Computed tomography of the spine — sagittal reformat — Bone window (WL 400, WW 1800) — scan covers 21 annotated vertebrae — image 252 mm wide — an area of the scan was removed and filled with constant pixels
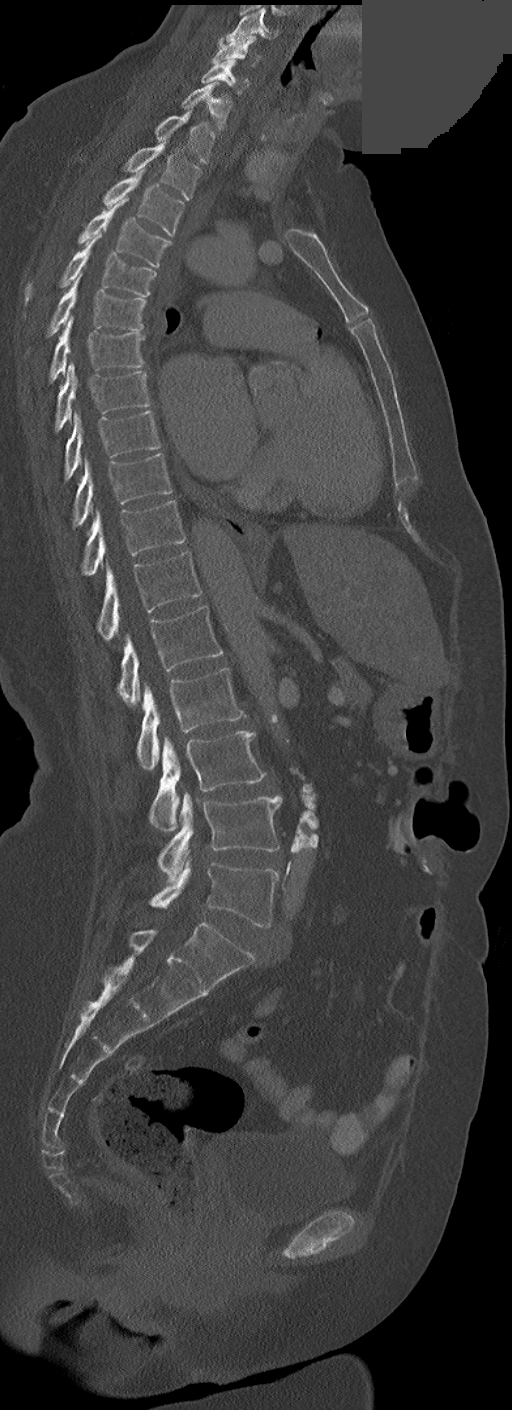 Boxes: x1 y1 x2 y2 (pixel coords, space-separated).
These labels give this spine no T12: after T11 the next vertebra is L1.
Vertebra bounding boxes:
- C3: 220 8 278 44
- C4: 212 36 260 65
- C5: 201 59 249 93
- C6: 181 82 231 130
- C7: 155 111 215 164
- T1: 124 142 201 199
- T2: 102 169 184 235
- T3: 78 198 170 268
- T4: 25 233 156 302
- T5: 47 273 146 336
- T6: 49 316 144 382
- T7: 55 362 150 432
- T8: 64 411 160 481
- T9: 72 454 172 526
- T10: 82 500 184 574
- T11: 96 551 201 642
- L1: 118 606 223 707
- L2: 137 667 243 770
- L3: 149 730 266 830
- L4: 157 793 282 881
- L5: 149 860 278 928